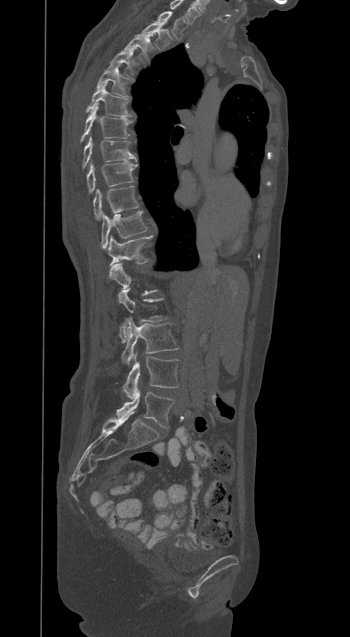

Computed tomography of the spine. sagittal reformat. bone-window reconstruction. 350x637 px

Coordinates as <box>x1,y1,x2,y2</box>. Not every vertebra on this slice has a box: a vertebra is boxed only from the first to the last slice where its cross-section is at least a third of its largest, and this slice is outside that range for at least one of them. Labels in this scan begin with T1 at the top and end with L5 at the bottom. 16 vertebrae labeled — L5 at <box>116,390,174,427</box>; L4 at <box>122,353,178,398</box>; L3 at <box>121,319,178,365</box>; L2 at <box>118,289,165,341</box>; T12 at <box>105,236,149,263</box>; T11 at <box>101,211,147,249</box>; T10 at <box>93,186,138,220</box>; T9 at <box>87,162,136,192</box>; T8 at <box>83,137,136,168</box>; T7 at <box>81,104,131,140</box>; T6 at <box>86,83,131,116</box>; T5 at <box>97,65,127,96</box>; T4 at <box>109,50,135,77</box>; T3 at <box>124,34,152,60</box>; T2 at <box>137,22,173,48</box>; T1 at <box>154,11,186,38</box>.